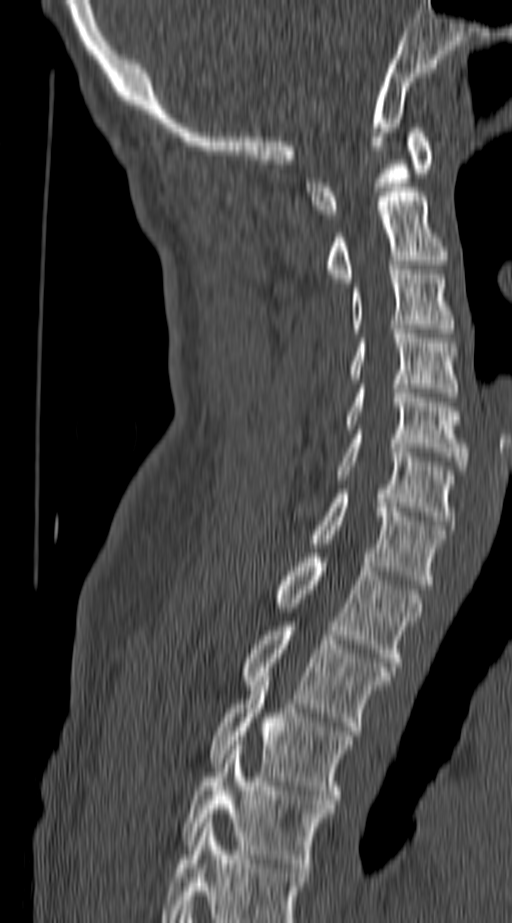
Spine computed tomography · sagittal view · 140 mm wide · bone window
The highest labeled vertebra in this scan is C1; the lowest is T4.
<vertebrae><v name="C1" x1="305" y1="128" x2="432" y2="218"/><v name="C2" x1="327" y1="192" x2="447" y2="282"/><v name="C3" x1="351" y1="270" x2="454" y2="333"/><v name="C4" x1="349" y1="329" x2="457" y2="397"/><v name="C5" x1="345" y1="384" x2="468" y2="470"/><v name="C6" x1="334" y1="434" x2="454" y2="525"/><v name="C7" x1="309" y1="494" x2="447" y2="584"/><v name="T1" x1="276" y1="553" x2="421" y2="666"/><v name="T2" x1="243" y1="626" x2="392" y2="730"/><v name="T3" x1="210" y1="677" x2="351" y2="804"/><v name="T4" x1="181" y1="745" x2="333" y2="872"/></vertebrae>